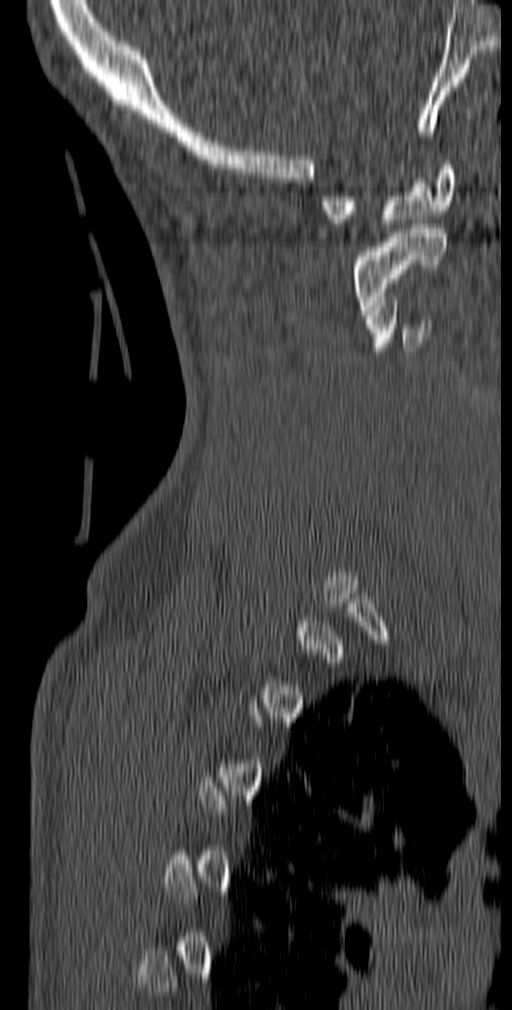

Spine computed tomography · 140 mm wide · sagittal reformat · 512x1010 px
Boxes: x1:y1:x2:y2 in pixels.
A vertebra gets a box only on the slices from the first to the last where its cross-section is at least a third of its largest; on a slice outside that range it gets none.
Vertebra bounding boxes:
- C1: 321:160:454:228
- C2: 352:224:446:319
- C3: 365:297:430:351